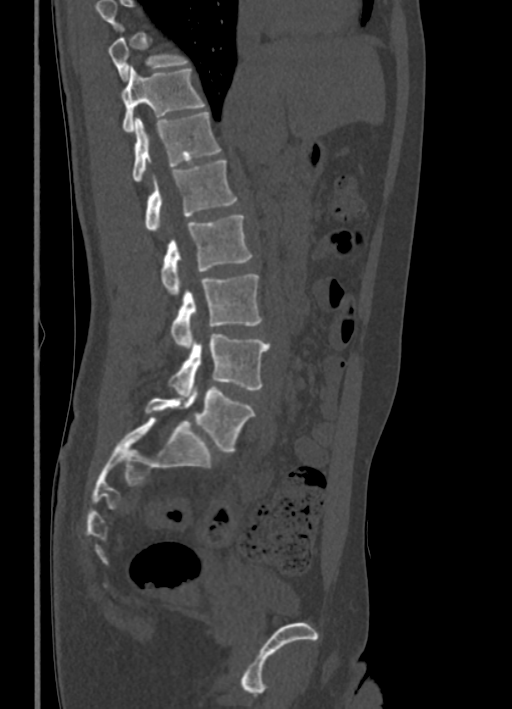

CT spine — sagittal view — bone window

Boxes: x1 y1 x2 y2 (pixel coords, space-separated).
No box is given to a vertebra that the top edge of the scan cuts off.
L5: 145 384 255 451
L4: 169 334 270 395
L3: 170 274 261 348
L2: 161 215 252 294
L1: 145 160 237 232
T12: 132 111 221 182
T11: 120 66 205 132
T10: 108 37 188 79